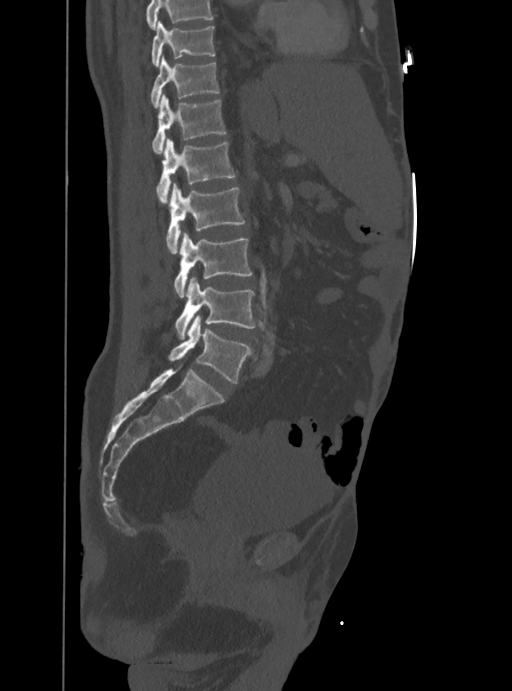

CT, spine. sagittal view. the image spans 388 mm across
Boxes: x1:y1:x2:y2 in pixels.
No box is given to a vertebra that the top edge of the scan cuts off.
Vertebra bounding boxes:
- T10: 152:21:215:67
- T11: 150:57:219:107
- T12: 152:94:226:153
- L1: 157:139:235:203
- L2: 166:183:244:253
- L3: 174:232:252:297
- L4: 175:277:255:337
- L5: 169:315:248:383